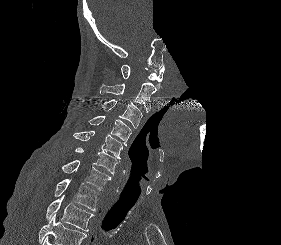

Computed tomography of the spine; sagittal view; bone window; the image spans 281 mm across; 281x245 px; part of the scan has been removed (filled with constant black). Boxes: x1 y1 x2 y2 (pixel coords, space-separated). Where the bottom of the scan cuts through a vertebra, that vertebra gets no label or box. 9 vertebrae labeled — T2 at 46 195 94 231; T1 at 54 178 98 210; C7 at 62 160 111 190; C6 at 75 146 120 174; C5 at 73 131 122 159; C4 at 88 116 131 146; C3 at 101 99 142 128; C2 at 100 83 157 112; C1 at 121 65 164 89.